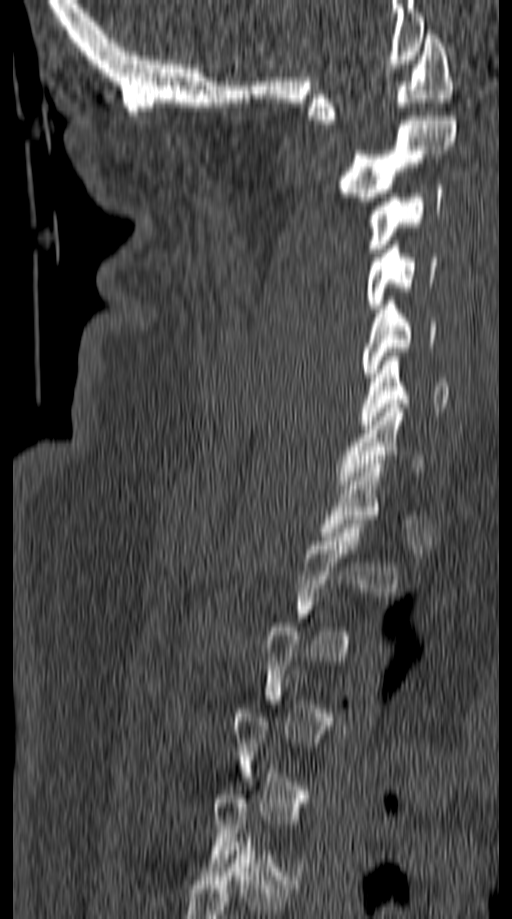
Computed tomography of the spine · sagittal reformat · 512x919 px

Bounding boxes as [x1, y1, x2, y2] in pixel coordinates. A vertebra is boxed only from the first to the last slice where its cross-section is at least a third of its largest; slices outside that range leave it without a box. 7 vertebrae labeled — C7 at [334, 404, 427, 489]; C6 at [359, 357, 448, 429]; C5 at [362, 301, 437, 377]; C4 at [365, 245, 437, 308]; C3 at [365, 185, 443, 252]; C2 at [335, 116, 457, 201]; C1 at [309, 30, 454, 124].